Computed tomography of the spine · sagittal view · W/L 1800/400 HU · scan covers 9 annotated vertebrae · image 367 mm wide
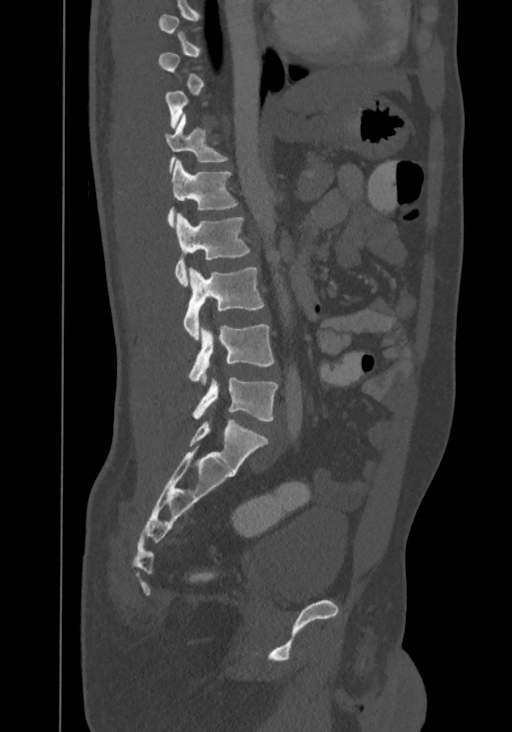

Each box given as x1,y1,x2,y2. A vertebra gets a box only on the slices from the first to the last where its cross-section is at least a third of its largest; on a slice outside that range it gets none. In this scan, the topmost labeled vertebra is T8 and the lowest is L4. The labeled vertebrae in this slice are: L4 at x1=192, y1=378, x2=278, y2=421, L3 at x1=190, y1=324, x2=274, y2=386, L2 at x1=184, y1=267, x2=264, y2=339, L1 at x1=174, y1=213, x2=250, y2=287, T12 at x1=166, y1=161, x2=236, y2=226, T11 at x1=165, y1=114, x2=228, y2=169.